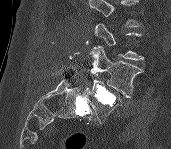
Spine computed tomography · sagittal view · 171x149 px
A vertebra gets a box only on the slices from the first to the last where its cross-section is at least a third of its largest; on a slice outside that range it gets none.
<vertebrae><v name="L4" x1="89" y1="46" x2="143" y2="97"/><v name="L5" x1="88" y1="80" x2="122" y2="123"/></vertebrae>